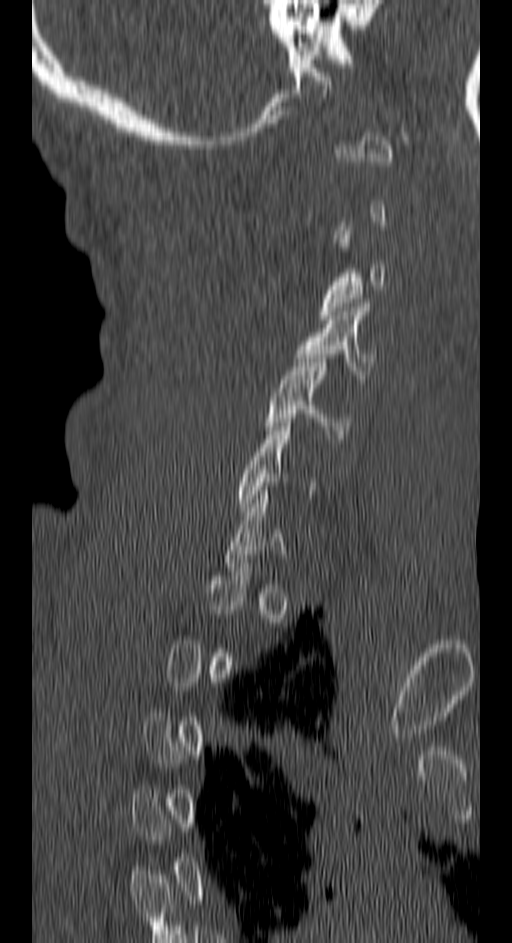

Spine CT. sagittal view. bone window
Coordinates as <box>x1,y1,x2,y2</box>. Not every vertebra on this slice has a box: a vertebra is boxed only from the first to the last slice where its cross-section is at least a third of its largest, and this slice is outside that range for at least one of them. The labeled vertebrae in this slice are: C4 at <box>295,303,369,379</box>, C5 at <box>264,354,352,438</box>.